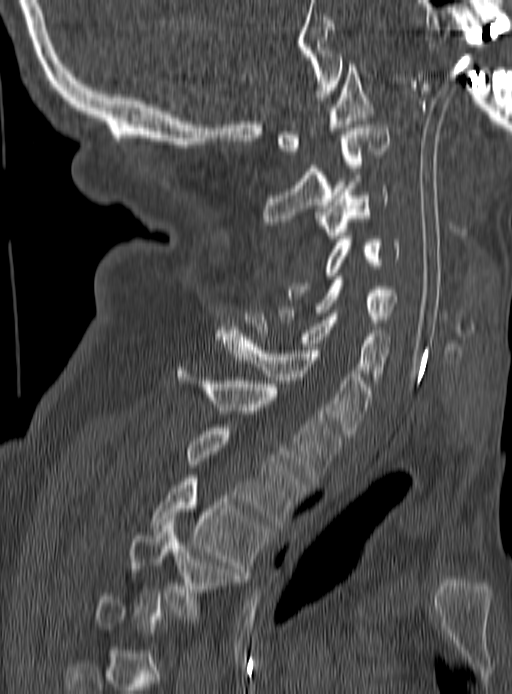 CT. sagittal view. Bone window (WL 400, WW 1800)
Bounding boxes as [x1, y1, x2, y2] in pixel coordinates. A vertebra gets a box only on the slices from the first to the last where its cross-section is at least a third of its largest; on a slice outside that range it gets none. The labeled vertebrae in this slice are: C1 at [276, 64, 373, 154], C2 at [262, 125, 388, 225], C3 at [316, 185, 388, 238], C4 at [289, 236, 400, 299], C5 at [280, 280, 396, 326], C6 at [245, 310, 390, 383], C7 at [216, 330, 372, 434], T1 at [177, 367, 339, 484], T2 at [187, 428, 304, 524], T3 at [152, 472, 267, 575], T4 at [128, 519, 240, 619].